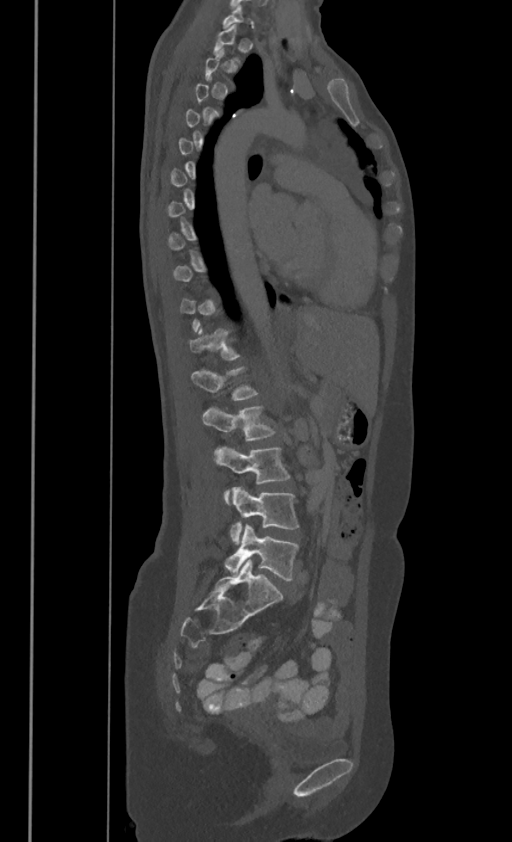

Spine computed tomography; image width 386 mm; sagittal view
Bounding boxes as [x1, y1, x2, y2] in pixel coordinates.
A vertebra is boxed only from the first to the last slice where its cross-section is at least a third of its largest; slices outside that range leave it without a box.
These labels give this spine no T12: after T11 the next vertebra is L1.
T11: [188, 326, 240, 358]
L1: [191, 365, 257, 399]
L2: [203, 405, 273, 441]
L3: [213, 446, 289, 503]
L4: [229, 486, 299, 543]
L5: [224, 525, 299, 580]